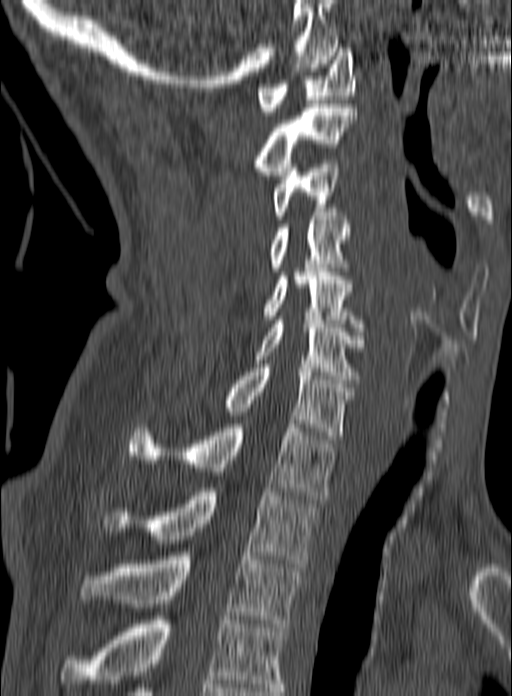

CT spine — sagittal view — bone-window reconstruction — the image is 160 mm wide — 512x696 px. Each row gives a vertebra's box as x1, y1, x2, y2 in pixels: top-left corner, then bottom-right corner.
In this scan, the topmost labeled vertebra is C1 and the lowest is T3.
| vertebra | x1 | y1 | x2 | y2 |
|---|---|---|---|---|
| C1 | 257 | 48 | 355 | 115 |
| C2 | 254 | 104 | 357 | 175 |
| C3 | 273 | 160 | 339 | 219 |
| C4 | 270 | 212 | 349 | 271 |
| C5 | 264 | 268 | 363 | 331 |
| C6 | 253 | 320 | 365 | 383 |
| C7 | 222 | 364 | 353 | 439 |
| T1 | 129 | 420 | 336 | 499 |
| T2 | 104 | 488 | 317 | 567 |
| T3 | 79 | 552 | 301 | 627 |